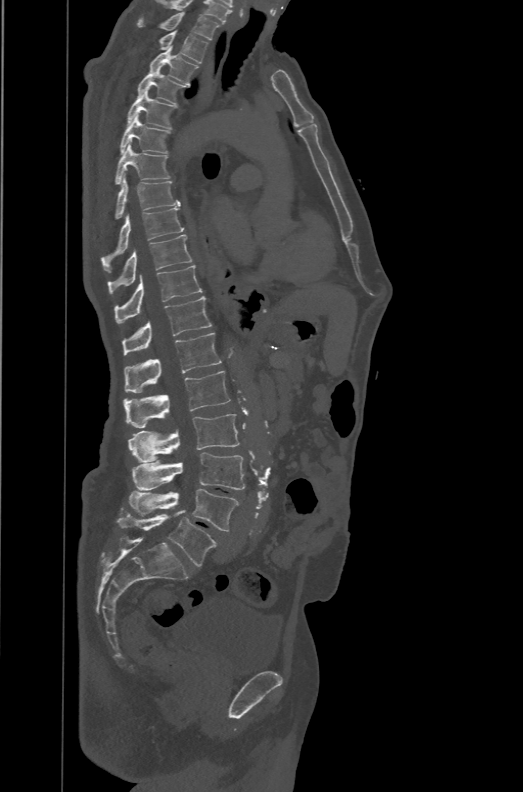
CT. sagittal view. 523x792 px. Box edges are left/top/right/bottom in pixels. Labels in this scan begin with T1 at the top and end with L6 at the bottom. These labels give the spine a sixth lumbar vertebra, L6, below L5. The labeled vertebrae in this slice are: T1 at left=136, top=12, right=220, bottom=40, T2 at left=159, top=30, right=208, bottom=62, T3 at left=149, top=45, right=198, bottom=86, T4 at left=137, top=68, right=185, bottom=104, T5 at left=127, top=90, right=175, bottom=129, T6 at left=120, top=115, right=169, bottom=154, T7 at left=116, top=143, right=170, bottom=184, T8 at left=116, top=174, right=180, bottom=219, T9 at left=101, top=208, right=184, bottom=272, T10 at left=107, top=234, right=191, bottom=293, T11 at left=114, top=265, right=202, bottom=323, T12 at left=123, top=296, right=212, bottom=355, L1 at left=125, top=333, right=221, bottom=392, L2 at left=123, top=371, right=230, bottom=428, L3 at left=128, top=414, right=239, bottom=462, L4 at left=131, top=452, right=244, bottom=490, L5 at left=129, top=489, right=239, bottom=531, L6 at left=118, top=511, right=216, bottom=565.